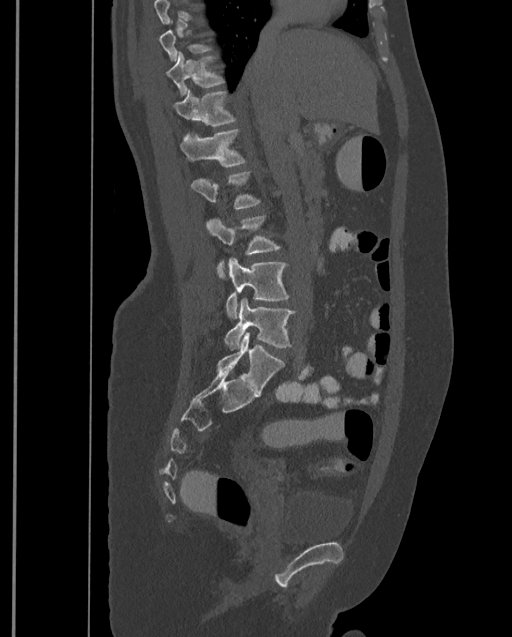

Computed tomography of the spine — sagittal reformat — bone-window reconstruction — 512x637 px. Each box given as x1,y1,x2,y2.
Each vertebra is boxed only on the slices from the first to the last where its cross-section reaches a third of its largest, so a slice outside that range leaves it unboxed.
The highest labeled vertebra in this scan is T9; the lowest is L4.
| vertebra | x1 | y1 | x2 | y2 |
|---|---|---|---|---|
| T10 | 165 | 51 | 223 | 96 |
| T11 | 173 | 90 | 235 | 126 |
| T12 | 180 | 129 | 245 | 166 |
| L1 | 191 | 172 | 259 | 209 |
| L2 | 206 | 216 | 280 | 280 |
| L3 | 225 | 258 | 289 | 319 |
| L4 | 224 | 298 | 295 | 349 |